CT, spine. sagittal view. 18 vertebrae labeled in this scan
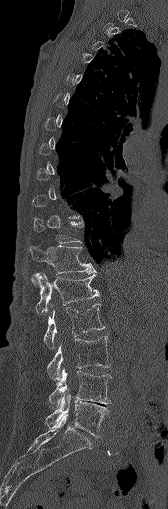
Boxes are (x1, y1, x2, y2) in pixels.
A vertebra is boxed only from the first to the last slice where its cross-section is at least a third of its largest; slices outside that range leave it without a box.
T11: (33, 218, 84, 244)
T12: (29, 245, 95, 273)
L1: (31, 273, 98, 314)
L2: (44, 303, 104, 348)
L3: (48, 336, 110, 384)
L4: (49, 368, 111, 410)
L5: (46, 392, 108, 436)